Spine computed tomography · the image spans 486 mm across · sagittal plane, index 254 · 607x607 px
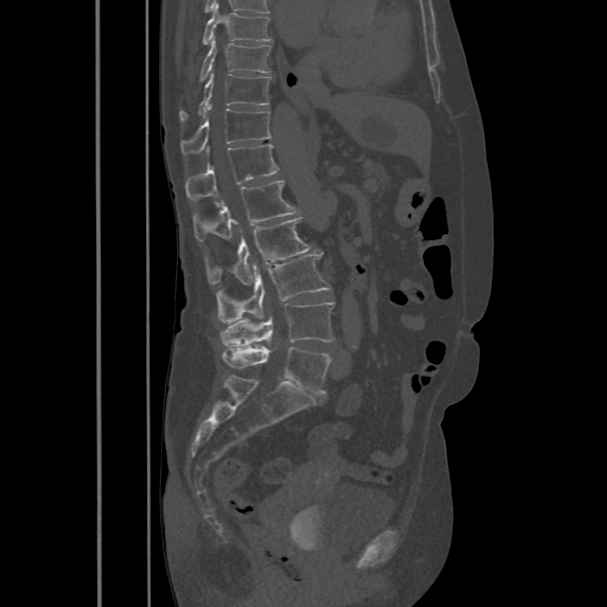

Boxes: x1 y1 x2 y2 (pixel coords, space-separated). The labeled vertebrae in this slice are: T8 at 203 3 272 45, T9 at 199 38 271 81, T10 at 180 73 271 121, T11 at 180 108 271 155, T12 at 185 145 279 201, L1 at 192 180 299 241, L2 at 206 217 311 285, L3 at 216 255 331 324, L4 at 219 302 334 346, L5 at 223 345 330 394.